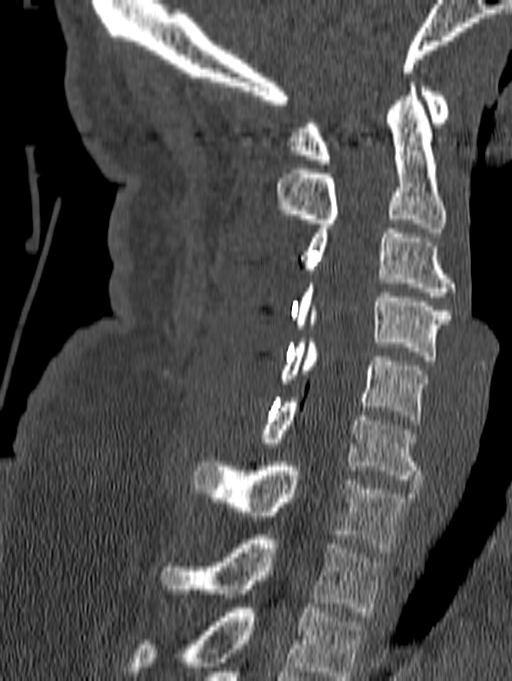
CT spine · sagittal view · bone window
Bounding boxes as [x1, y1, x2, y2] in pixel coordinates.
Labels in this scan begin with C1 at the top and end with T1 at the bottom.
C1: [289, 82, 448, 164]
C2: [276, 82, 446, 232]
C3: [304, 229, 456, 296]
C4: [294, 283, 450, 360]
C5: [279, 338, 428, 424]
C6: [261, 398, 421, 484]
C7: [192, 462, 410, 552]
T1: [159, 535, 386, 616]